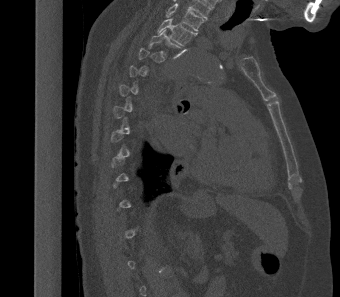

Spine CT. sagittal view. bone-window reconstruction

Box values are [left, top, right, bottom] in pixels.
A vertebra gets a box only on the slices from the first to the last where its cross-section is at least a third of its largest; on a slice outside that range it gets none.
This scan's labels start at T2 at the top and end at L1 at the bottom.
{"vertebrae":{"T2":[157,18,197,45],"T3":[149,29,180,56]}}